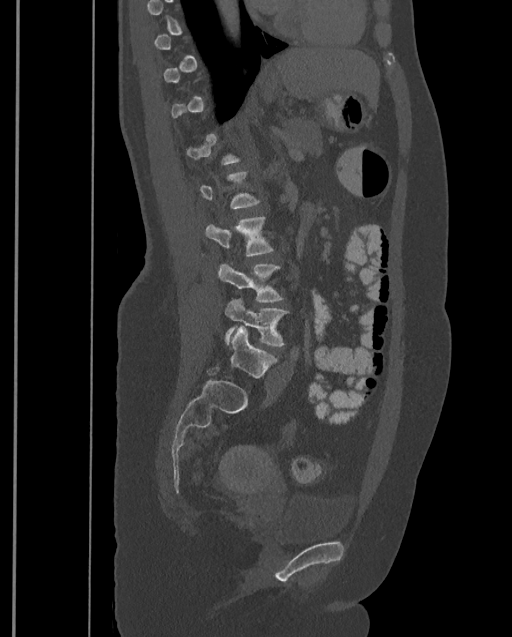 Spine CT — sagittal view
Each vertebra is boxed only on the slices from the first to the last where its cross-section reaches a third of its largest, so a slice outside that range leaves it unboxed.
This scan's labels start at T9 at the top and end at L4 at the bottom.
<vertebrae><v name="L2" x1="205" y1="217" x2="273" y2="255"/><v name="L3" x1="218" y1="263" x2="282" y2="302"/><v name="L4" x1="224" y1="299" x2="289" y2="347"/></vertebrae>